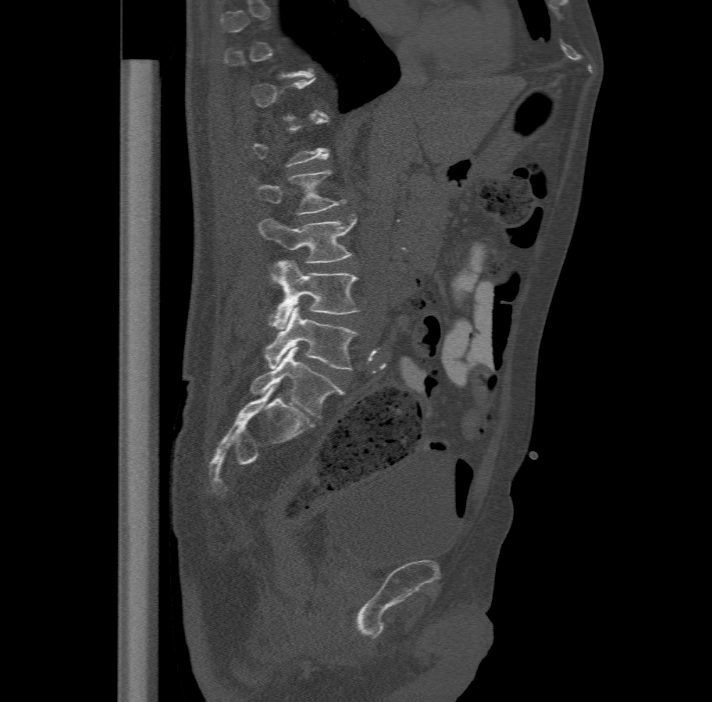
Computed tomography of the spine — sagittal view
In the table, x1 and y1 are a box's top-left corner and x2 and y2 its bottom-right corner, in pixels.
Not every vertebra on this slice has a box: a vertebra is boxed only from the first to the last slice where its cross-section is at least a third of its largest, and this slice is outside that range for at least one of them.
In these labels the spine has an L6, a sixth lumbar vertebra below L5.
| vertebra | x1 | y1 | x2 | y2 |
|---|---|---|---|---|
| L2 | 252 | 168 | 345 | 214 |
| L3 | 259 | 215 | 355 | 261 |
| L4 | 268 | 259 | 359 | 329 |
| L5 | 264 | 305 | 358 | 370 |
| L6 | 250 | 347 | 342 | 418 |